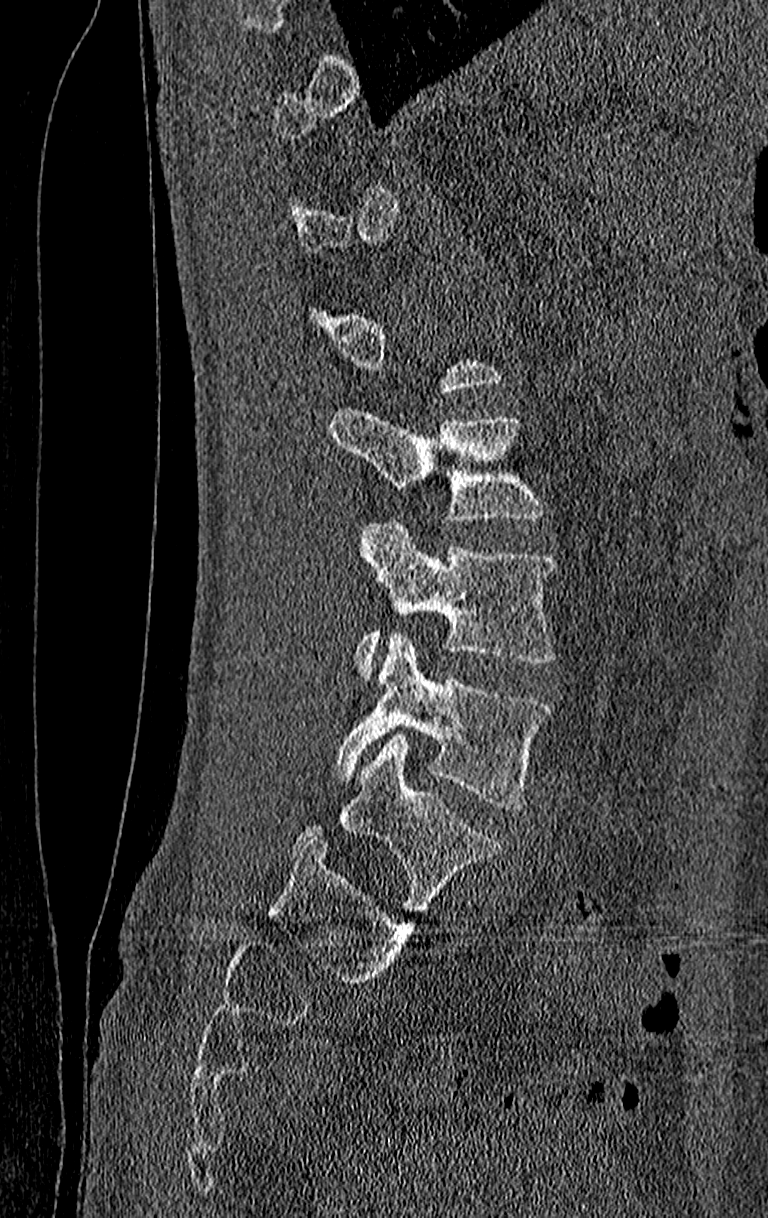

Spine computed tomography. sagittal view. 768x1218 px

In the table, x1 and y1 are a box's top-left corner and x2 and y2 its bottom-right corner, in pixels.
Each vertebra is boxed only on the slices from the first to the last where its cross-section reaches a third of its largest, so a slice outside that range leaves it unboxed.
Labels in this scan begin with T11 at the top and end with L4 at the bottom.
| vertebra | x1 | y1 | x2 | y2 |
|---|---|---|---|---|
| L2 | 328 | 406 | 546 | 522 |
| L3 | 353 | 523 | 554 | 680 |
| L4 | 335 | 630 | 550 | 809 |